CT · Sagittal slice 249/512
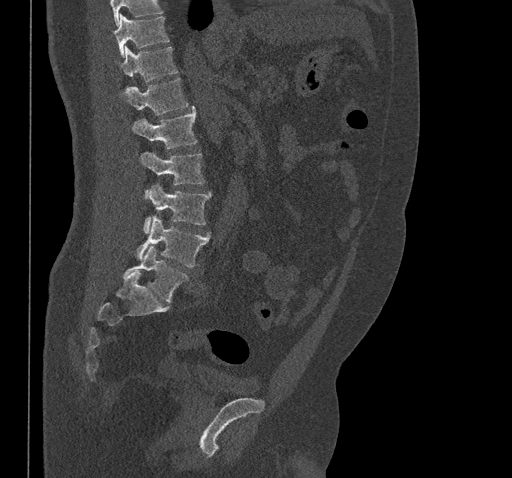 Boxes are given in columns x1, y1, x2, y2, the pixel coordinates of their top-left and bottom-right corners.
A vertebra cut off by the top edge of the scan is not labeled and has no box.
| vertebra | x1 | y1 | x2 | y2 |
|---|---|---|---|---|
| T10 | 113 | 15 | 169 | 56 |
| T11 | 120 | 46 | 177 | 81 |
| T12 | 120 | 78 | 187 | 115 |
| L1 | 132 | 107 | 197 | 148 |
| L2 | 140 | 152 | 204 | 197 |
| L3 | 143 | 184 | 210 | 233 |
| L4 | 136 | 217 | 209 | 267 |
| L5 | 123 | 246 | 188 | 303 |